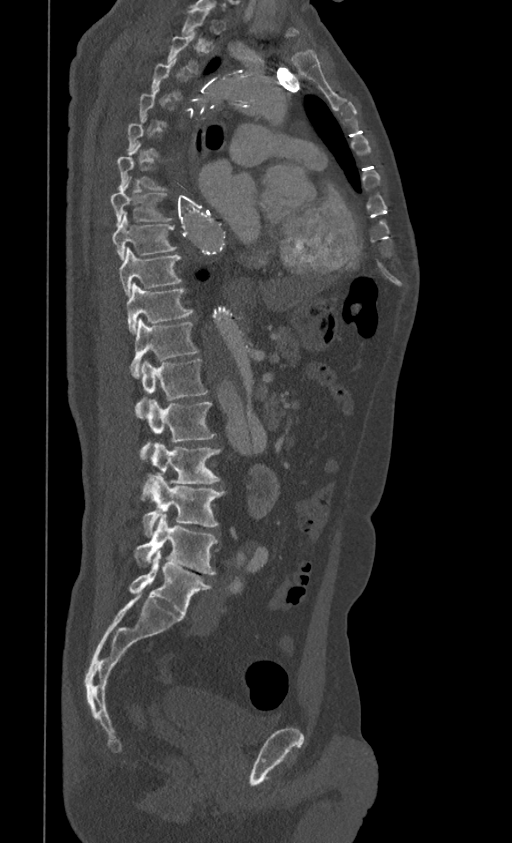

CT, spine. sagittal view. 399 mm across the image
Not every vertebra on this slice has a box: a vertebra is boxed only from the first to the last slice where its cross-section is at least a third of its largest, and this slice is outside that range for at least one of them.
<vertebrae><v name="L5" x1="129" y1="550" x2="211" y2="615"/><v name="L4" x1="135" y1="513" x2="217" y2="574"/><v name="L3" x1="142" y1="475" x2="225" y2="535"/><v name="L2" x1="141" y1="442" x2="220" y2="499"/><v name="L1" x1="140" y1="400" x2="214" y2="460"/><v name="T12" x1="135" y1="359" x2="207" y2="417"/><v name="T11" x1="129" y1="319" x2="198" y2="378"/><v name="T10" x1="127" y1="282" x2="193" y2="334"/><v name="T9" x1="119" y1="247" x2="181" y2="296"/><v name="T8" x1="111" y1="211" x2="176" y2="260"/><v name="T7" x1="110" y1="182" x2="172" y2="225"/></vertebrae>